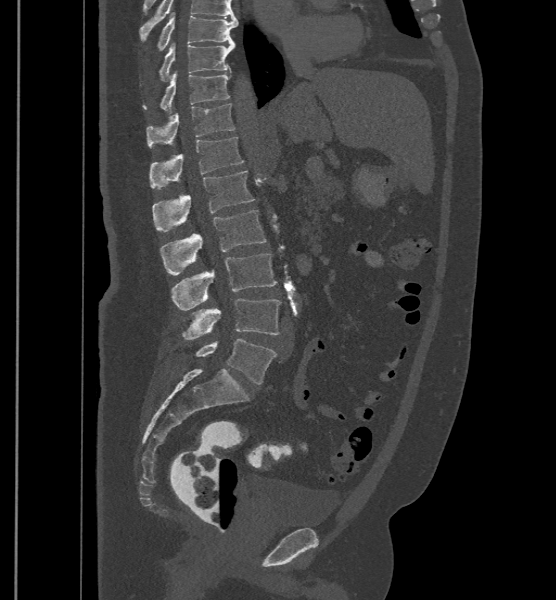

CT spine. sagittal view
In these labels the spine has an L6, a sixth lumbar vertebra below L5.
<vertebrae><v name="L6" x1="195" y1="339" x2="276" y2="383"/><v name="L5" x1="181" y1="299" x2="280" y2="340"/><v name="L4" x1="171" y1="253" x2="277" y2="310"/><v name="L3" x1="160" y1="210" x2="266" y2="275"/><v name="L2" x1="152" y1="170" x2="255" y2="231"/><v name="L1" x1="149" y1="137" x2="244" y2="189"/><v name="T12" x1="146" y1="103" x2="234" y2="147"/><v name="T11" x1="143" y1="70" x2="230" y2="112"/><v name="T10" x1="160" y1="41" x2="234" y2="80"/><v name="T9" x1="157" y1="11" x2="238" y2="50"/></vertebrae>